CT, spine. sagittal view
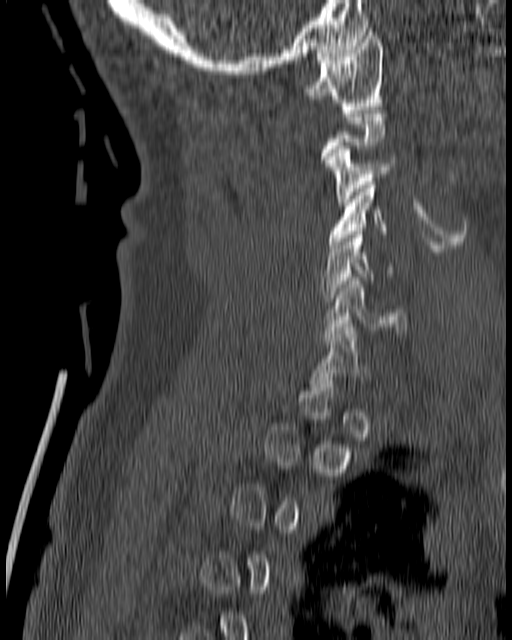
Each row gives a vertebra's box as x1, y1, x2, y2 in pixels: top-left corner, then bottom-right corner.
A vertebra is boxed only from the first to the last slice where its cross-section is at least a third of its largest; slices outside that range leave it without a box.
| vertebra | x1 | y1 | x2 | y2 |
|---|---|---|---|---|
| C6 | 322 | 277 | 406 | 337 |
| C5 | 319 | 231 | 393 | 301 |
| C4 | 328 | 178 | 387 | 248 |
| C3 | 325 | 146 | 397 | 205 |
| C1 | 302 | 28 | 383 | 109 |